CT — sagittal reformat — bone-window reconstruction — 512x905 px
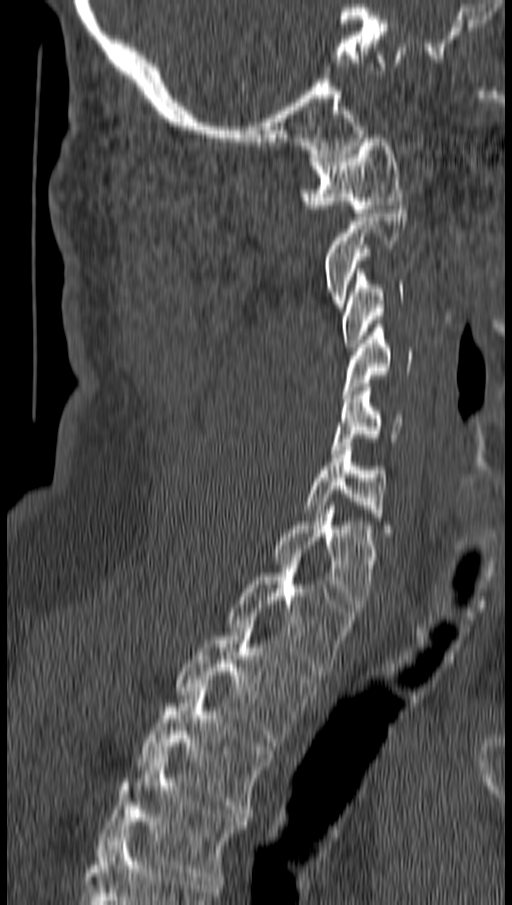

Bounding boxes as [x1, y1, x2, y2] in pixel coordinates.
T4: [96, 755, 247, 884]
T3: [137, 687, 272, 817]
T2: [175, 624, 316, 746]
T1: [229, 557, 354, 675]
C7: [273, 506, 376, 611]
C6: [304, 442, 389, 532]
C5: [330, 383, 401, 453]
C4: [342, 324, 412, 398]
C3: [342, 269, 403, 351]
C2: [323, 205, 406, 307]
C1: [299, 134, 401, 212]